CT spine. sagittal reformat. W/L 1800/400 HU. image width 157 mm
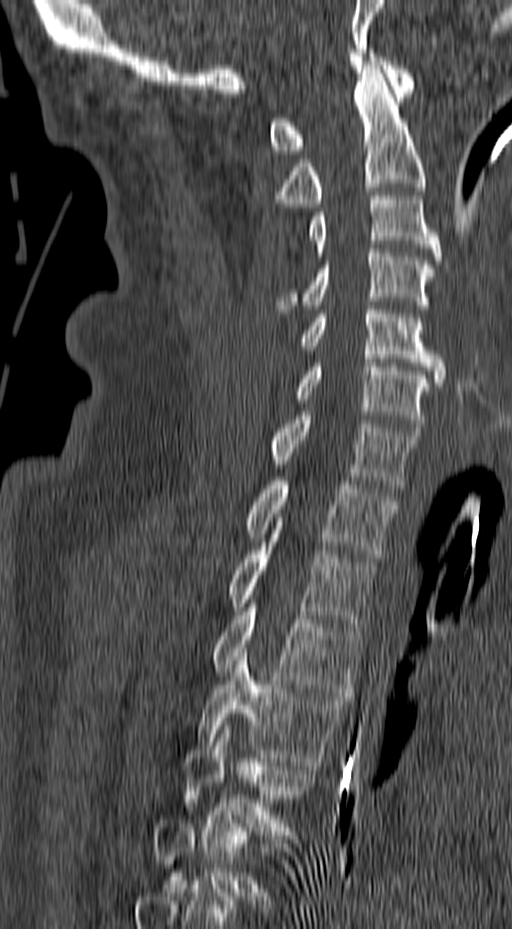

Boxes: x1:y1:x2:y2 in pixels.
Each vertebra is boxed only on the slices from the first to the last where its cross-section reaches a third of its largest, so a slice outside that range leaves it unboxed.
C1: 270:53:415:154
C2: 274:65:425:207
C3: 308:188:441:260
C4: 275:249:435:309
C5: 300:306:446:386
C6: 295:359:439:431
C7: 269:412:421:488
T1: 246:481:398:557
T2: 226:542:375:627
T3: 210:603:362:696
T4: 197:652:349:769
T5: 183:717:314:835